CT spine; Sagittal slice 270/512; 399 mm wide; bone-window reconstruction; 512x637 px; scan covers 8 annotated vertebrae
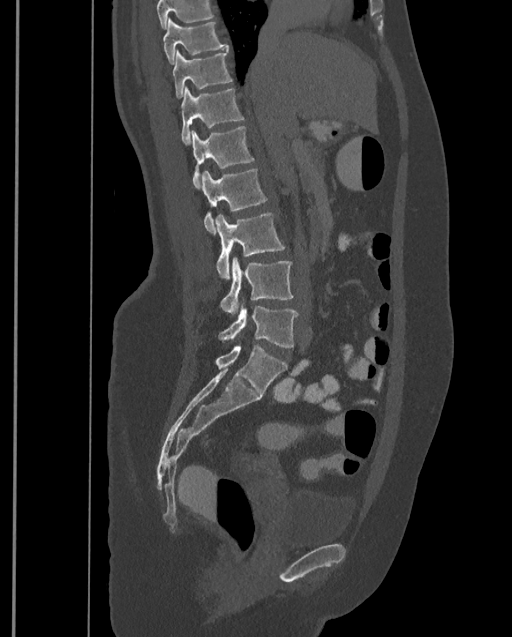
Boxes below are [x1, y1, x2, y2] in pixels.
A vertebra cut off by the top edge of the scan is not labeled and has no box.
Labels in this scan begin with T9 at the top and end with L4 at the bottom.
{"vertebrae":{"L4":[218,306,298,347],"L3":[219,258,294,314],"L2":[215,212,285,278],"L1":[202,167,267,233],"T12":[190,126,254,188],"T11":[181,85,244,146],"T10":[173,50,232,98],"T9":[163,17,229,64]}}